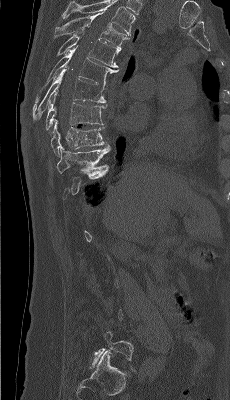
Spine computed tomography. 230 mm image width. sagittal view. 230x400 px
Each box is [x1, y1, x2, y2] in pixels: top-left corner, then bottom-right corner.
A vertebra gets a box only on the slices from the first to the last where its cross-section is at least a third of its largest; on a slice outside that range it gets none.
The highest labeled vertebra in this scan is T4; the lowest is L5.
{"vertebrae":{"T4":[54,10,129,47],"T5":[56,34,121,68],"T6":[35,47,118,102],"T7":[33,68,106,120],"T8":[46,90,106,130],"T9":[51,120,108,156],"T10":[57,145,110,176],"L5":[89,331,133,368]}}